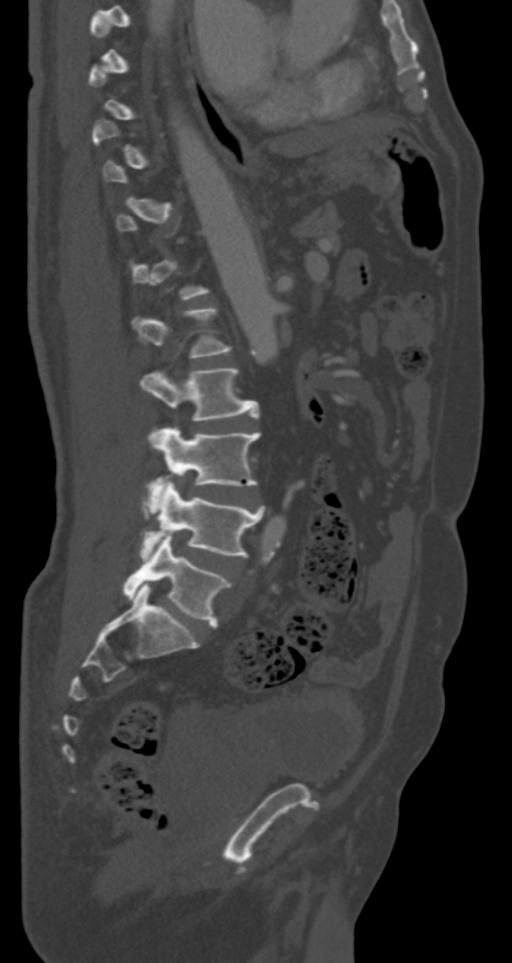
CT. sagittal view
Each box given as x1,y1,x2,y2.
Not every vertebra on this slice has a box: a vertebra is boxed only from the first to the last slice where its cross-section is at least a third of its largest, and this slice is outside that range for at least one of them.
L2: x1=141, y1=367, x2=259, y2=420
L3: x1=148, y1=428, x2=261, y2=500
L4: x1=141, y1=481, x2=264, y2=557
L5: x1=123, y1=534, x2=229, y2=627